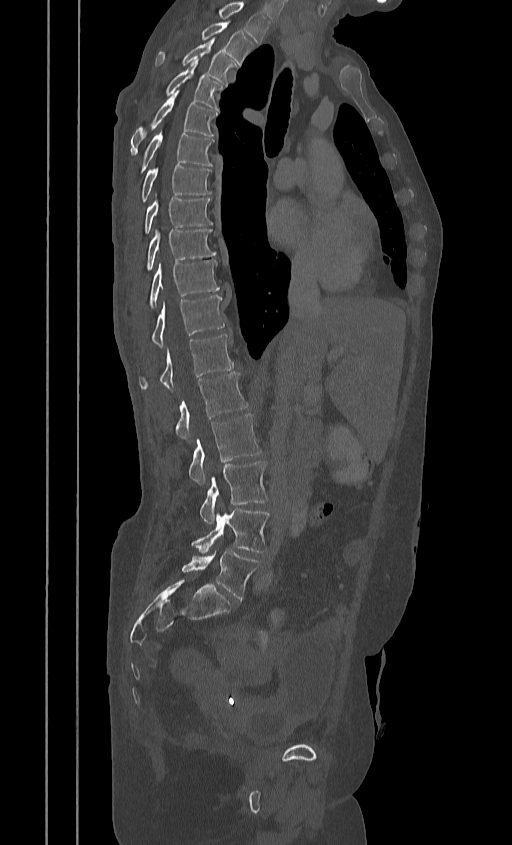
CT; image 384 mm wide; sagittal reformat; 512x845 px
Boxes: x1 y1 x2 y2 (pixel coords, space-separated).
This scan's labels start at T2 at the top and end at L5 at the bottom.
T2: 200 23 253 66
T3: 156 40 236 84
T4: 141 63 224 110
T5: 130 92 217 155
T6: 138 133 213 174
T7: 141 164 211 202
T8: 144 197 212 234
T9: 140 229 216 278
T10: 148 260 219 307
T11: 150 296 224 346
T12: 138 335 233 391
L1: 174 372 248 439
L2: 188 413 261 484
L3: 200 461 268 523
L4: 192 508 269 552
L5: 181 551 259 599